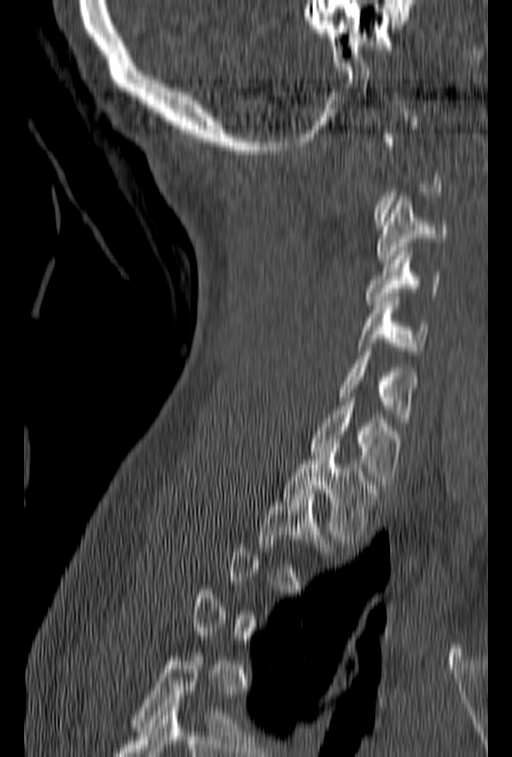 CT · sagittal view · 512x757 px

Each box is [x1, y1, x2, y2] in pixels: top-left corner, then bottom-right corner.
Not every vertebra on this slice has a box: a vertebra is boxed only from the first to the last slice where its cross-section is at least a third of its largest, and this slice is outside that range for at least one of them.
{"vertebrae":{"C3":[376,197,451,263],"C4":[366,247,439,304],"C5":[356,297,429,355],"C6":[336,343,418,421],"C7":[309,397,402,484],"T1":[283,452,381,543],"T2":[258,489,336,551]}}